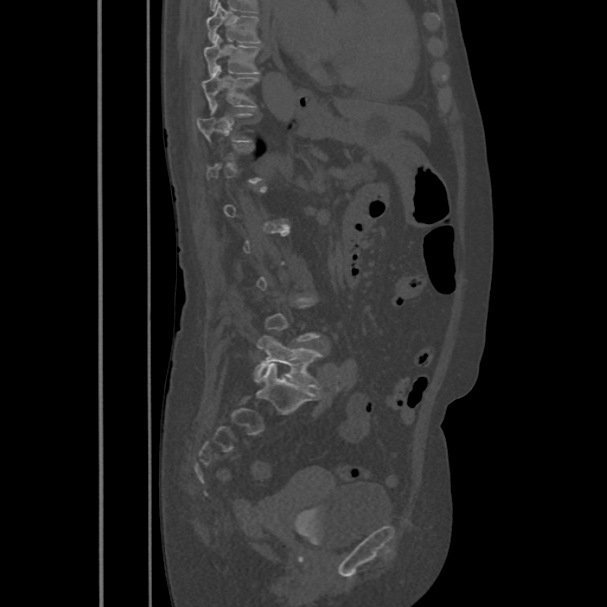

CT; sagittal view; bone-window reconstruction; 607x607 px
Coordinates as <box>x1,y1,x2,y2</box>.
A vertebra is boxed only from the first to the last slice where its cross-section is at least a third of its largest; slices outside that range leave it without a box.
Vertebra bounding boxes:
- T8: <box>206,3,260,42</box>
- T9: <box>204,36,259,75</box>
- T10: <box>202,66,258,110</box>
- L5: <box>254,335,322,389</box>